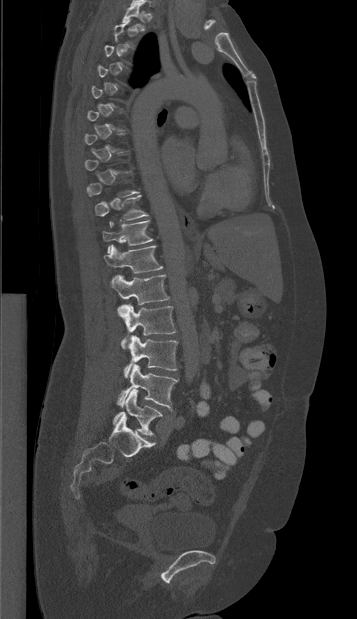

Spine computed tomography — sagittal view — 357x619 px

Each box given as x1,y1,x2,y2.
A vertebra gets a box only on the slices from the first to the last where its cross-section is at least a third of its largest; on a slice outside that range it gets none.
Vertebra bounding boxes:
- T1: x1=122, y1=2, x2=144, y2=30
- T10: x1=94, y1=195, x2=148, y2=226
- T11: x1=102, y1=220, x2=153, y2=252
- T12: x1=104, y1=245, x2=163, y2=273
- L1: x1=110, y1=275, x2=169, y2=304
- L2: x1=117, y1=304, x2=176, y2=349
- L3: x1=124, y1=335, x2=177, y2=378
- L4: x1=117, y1=364, x2=177, y2=410
- L5: x1=113, y1=389, x2=162, y2=435